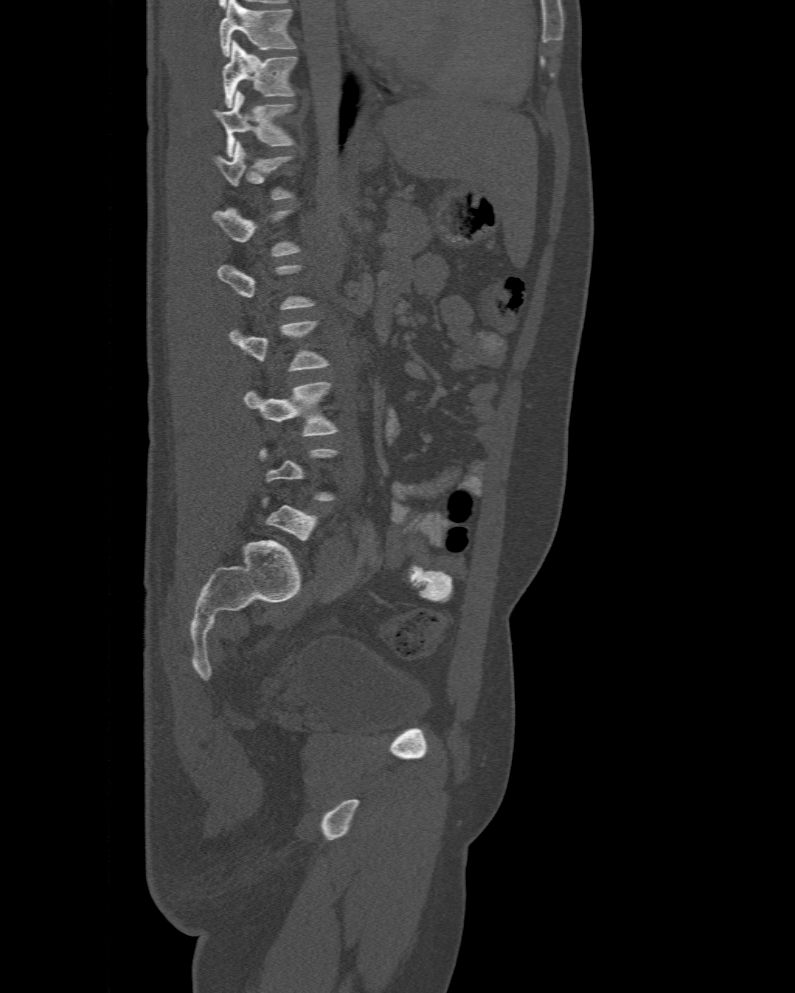
Computed tomography of the spine. sagittal view. bone window

Bounding boxes as [x1, y1, x2, y2] in pixel coordinates.
A vertebra is boxed only from the first to the last slice where its cross-section is at least a third of its largest; slices outside that range leave it without a box.
This scan's labels start at T10 at the top and end at L6 at the bottom.
T10: [222, 40, 297, 107]
T11: [213, 92, 294, 157]
T12: [213, 141, 294, 199]
L4: [244, 382, 337, 436]